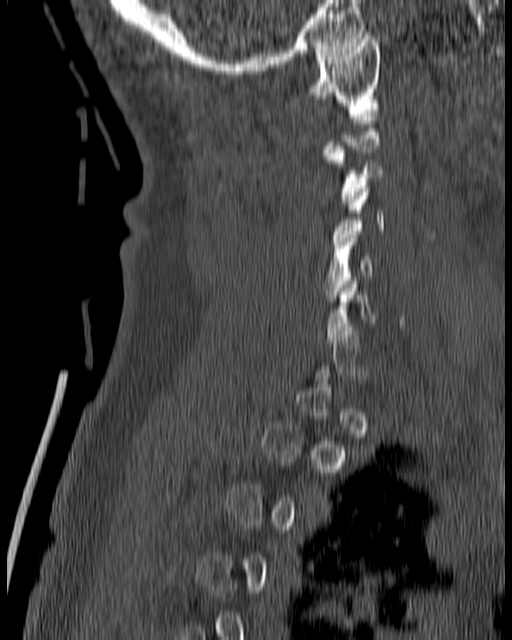

Spine computed tomography — sagittal view
Each vertebra maps to its box as [x1, y1, x2, y2], the pixel coordinates of its top-left and bottom-right corners.
A vertebra is boxed only from the first to the last slice where its cross-section is at least a third of its largest; slices outside that range leave it without a box.
{"vertebrae":{"C1":[305,32,380,109],"C3":[324,146,384,205],"C5":[322,235,373,301]}}